CT. sagittal view. Bone window (WL 400, WW 1800). 512x681 px. scan covers 8 annotated vertebrae
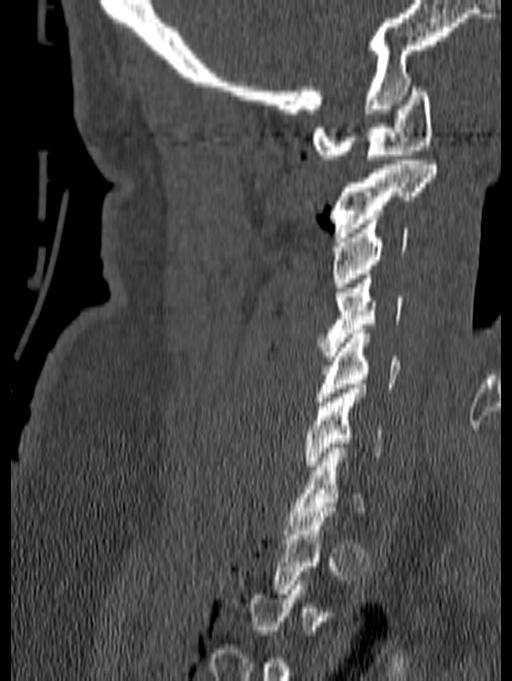
Boxes: x1:y1:x2:y2 in pixels. Each vertebra is boxed only on the slices from the first to the last where its cross-section reaches a third of its largest, so a slice outside that range leaves it unboxed. 6 vertebrae labeled — C1 at 313:82:433:159; C2 at 330:160:436:237; C3 at 332:219:409:287; C4 at 318:274:403:356; C5 at 317:329:400:401; C6 at 305:384:384:470.